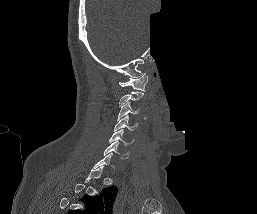
Computed tomography of the spine · 257 mm across the image · sagittal view · part of the image is constant black where the scan was masked
A vertebra is boxed only from the first to the last slice where its cross-section is at least a third of its largest; slices outside that range leave it without a box.
<vertebrae><v name="C6" x1="103" y1="141" x2="129" y2="159"/><v name="C5" x1="109" y1="129" x2="134" y2="145"/><v name="C4" x1="114" y1="115" x2="137" y2="130"/><v name="C3" x1="117" y1="101" x2="139" y2="121"/><v name="C1" x1="119" y1="73" x2="148" y2="91"/></vertebrae>